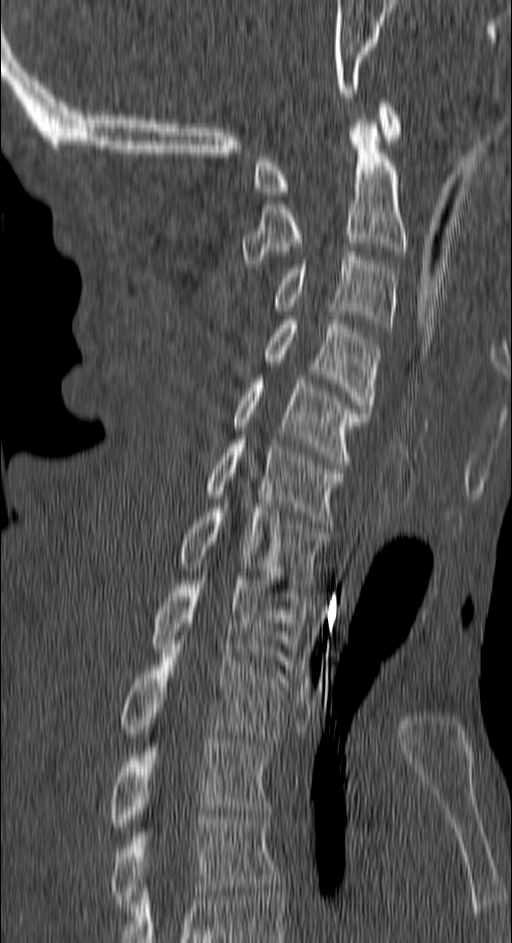 Spine computed tomography. sagittal view
Coordinates as <box>x1,y1,x2,y2</box>. Vertebrae labeled: C1 at <box>254,98,400,195</box>, C2 at <box>240,119,406,268</box>, C3 at <box>274,252,396,332</box>, C4 at <box>264,320,379,413</box>, C5 at <box>233,375,366,464</box>, C6 at <box>206,439,345,524</box>, C7 at <box>179,508,328,588</box>, T1 at <box>151,576,303,669</box>, T2 at <box>121,644,288,746</box>, T3 at <box>110,738,270,831</box>, T4 at <box>110,815,280,908</box>.